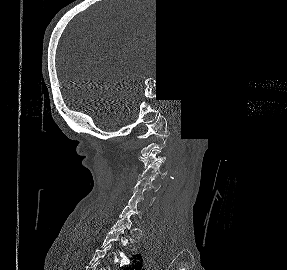

Spine CT · sagittal view · 287x270 px · a region of this slice is masked with a uniform fill

Boxes: x1:y1:x2:y2 in pixels.
A vertebra gets a box only on the slices from the first to the last where its cross-section is at least a third of its largest; on a slice outside that range it gets none.
C1: 137:113:169:138
C3: 138:148:165:169
C4: 137:161:167:180
C5: 133:175:160:191
C6: 128:190:155:208
T2: 100:228:129:262